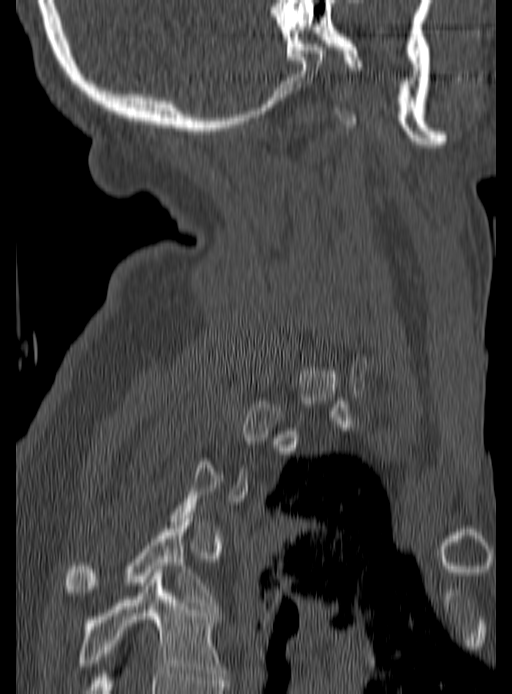

CT — sagittal view
Boxes: x1:y1:x2:y2 in pixels.
A vertebra is boxed only from the first to the last slice where its cross-section is at least a third of its largest; slices outside that range leave it without a box.
Vertebra bounding boxes:
- T5: 79:573:226:679
- T4: 66:519:218:609